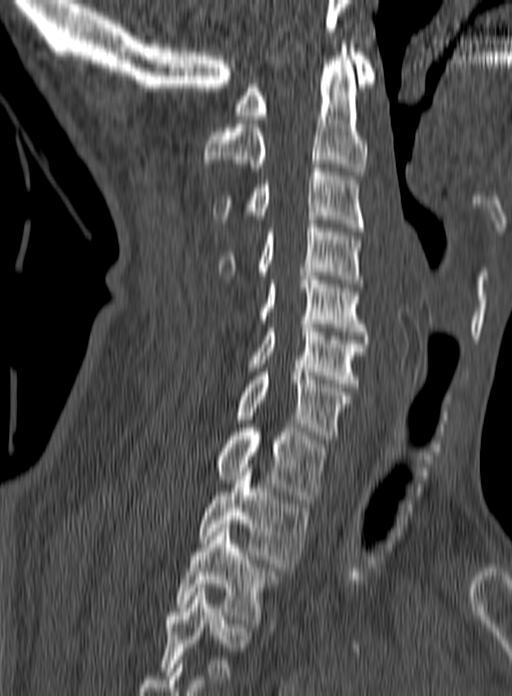

CT, spine; sagittal view; bone window; 512x696 px
This scan's labels start at C1 at the top and end at T3 at the bottom.
<vertebrae><v name="C1" x1="234" y1="48" x2="376" y2="119"/><v name="C2" x1="203" y1="44" x2="368" y2="175"/><v name="C3" x1="213" y1="164" x2="364" y2="231"/><v name="C4" x1="218" y1="220" x2="363" y2="287"/><v name="C5" x1="259" y1="272" x2="366" y2="335"/><v name="C6" x1="249" y1="320" x2="368" y2="387"/><v name="C7" x1="236" y1="368" x2="351" y2="443"/><v name="T1" x1="216" y1="424" x2="327" y2="503"/><v name="T2" x1="200" y1="464" x2="307" y2="567"/><v name="T3" x1="175" y1="524" x2="274" y2="623"/></vertebrae>